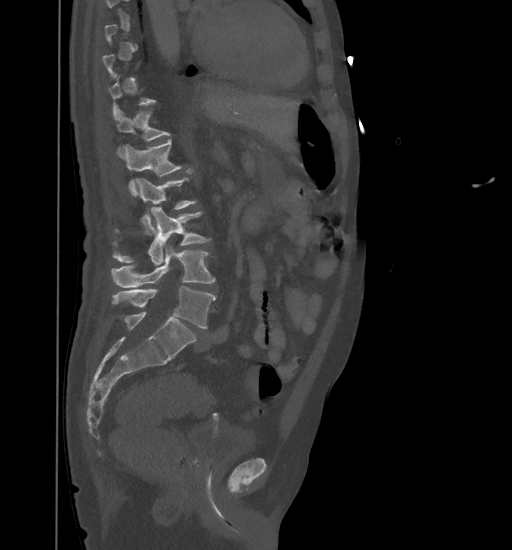
Spine CT · image width 461 mm · sagittal view
Box edges are left/top/right/bottom in pixels. Each vertebra is boxed only on the slices from the first to the last where its cross-section reaches a third of its largest, so a slice outside that range leaves it unboxed. Vertebrae labeled: T12 at left=116, top=109, right=170, bottom=157, L1 at left=124, top=140, right=182, bottom=195, L2 at left=137, top=178, right=196, bottom=234, L3 at left=113, top=207, right=211, bottom=265, L4 at left=112, top=245, right=215, bottom=287, L5 at left=112, top=286, right=215, bottom=328.